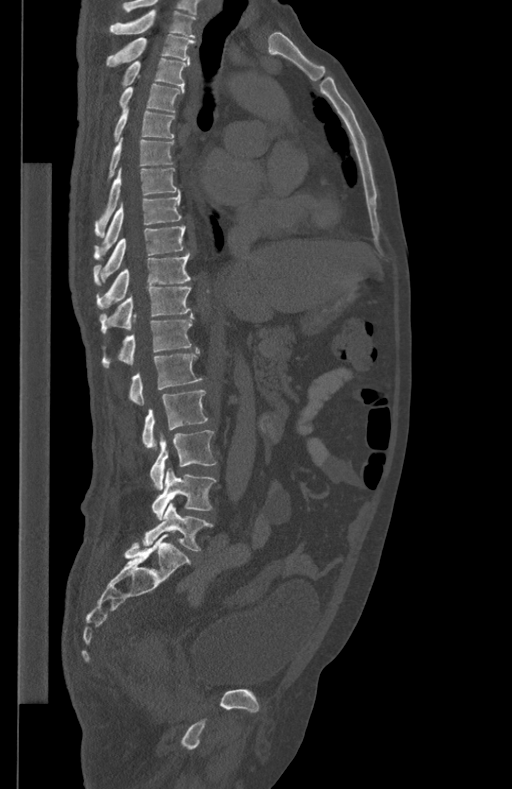 CT spine — sagittal view — bone-window reconstruction — 512x789 px — 434 mm image width
<vertebrae><v name="T1" x1="110" y1="11" x2="196" y2="37"/><v name="T2" x1="106" y1="34" x2="194" y2="67"/><v name="T3" x1="120" y1="57" x2="189" y2="87"/><v name="T4" x1="118" y1="84" x2="184" y2="112"/><v name="T5" x1="112" y1="107" x2="175" y2="142"/><v name="T6" x1="107" y1="138" x2="174" y2="183"/><v name="T7" x1="94" y1="167" x2="178" y2="238"/><v name="T8" x1="94" y1="190" x2="181" y2="257"/><v name="T9" x1="93" y1="226" x2="185" y2="286"/><v name="T10" x1="97" y1="252" x2="190" y2="309"/><v name="T11" x1="100" y1="287" x2="191" y2="332"/><v name="T12" x1="103" y1="312" x2="193" y2="366"/><v name="L1" x1="130" y1="348" x2="202" y2="406"/><v name="L2" x1="143" y1="390" x2="208" y2="449"/><v name="L3" x1="150" y1="430" x2="216" y2="490"/><v name="L4" x1="152" y1="468" x2="216" y2="519"/><v name="L5" x1="144" y1="502" x2="212" y2="551"/></vertebrae>